CT spine; sagittal plane, index 54; 576x576 px; 419 mm across the image; 8 vertebrae labeled in this scan
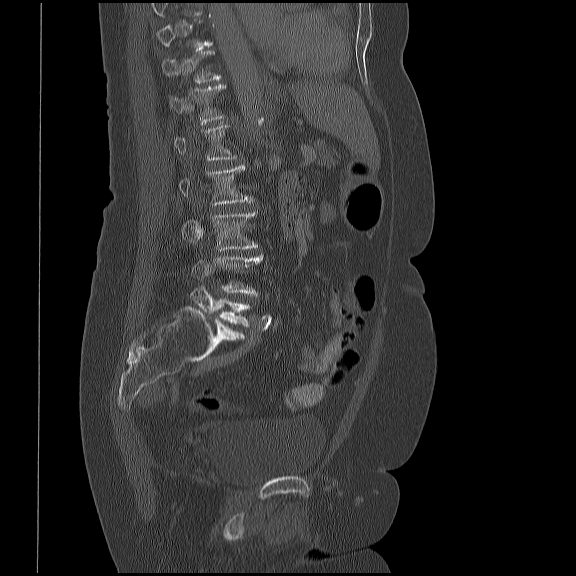
Each vertebra is boxed only on the slices from the first to the last where its cross-section reaches a third of its largest, so a slice outside that range leaves it unboxed.
<vertebrae><v name="T11" x1="161" y1="50" x2="221" y2="83"/><v name="T12" x1="168" y1="83" x2="226" y2="123"/><v name="L1" x1="174" y1="124" x2="236" y2="160"/><v name="L2" x1="178" y1="164" x2="254" y2="204"/><v name="L3" x1="182" y1="211" x2="258" y2="250"/><v name="L4" x1="193" y1="253" x2="262" y2="294"/><v name="L5" x1="190" y1="286" x2="250" y2="327"/></vertebrae>